Spine computed tomography; Sagittal slice 220/512; 512x747 px; 12 vertebrae labeled in this scan
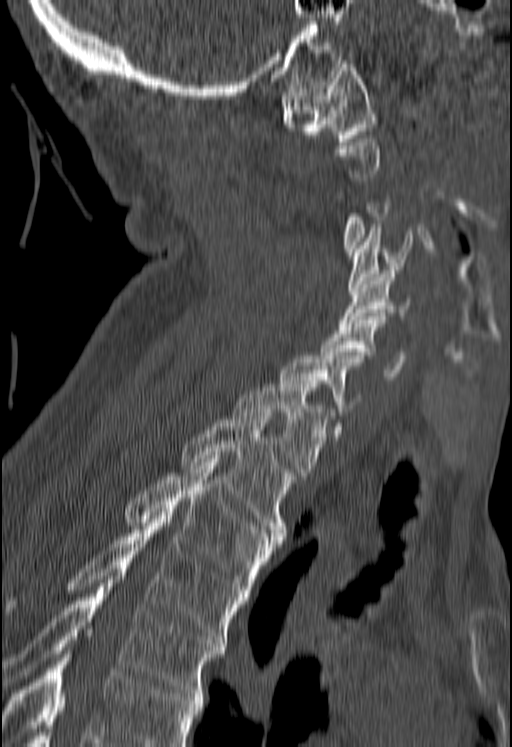
Box edges are left/top/right/bottom in pixels.
A vertebra gets a box only on the slices from the first to the last where its cross-section is at least a third of its largest; on a slice outside that range it gets none.
A vertebra cut off by the bottom edge of the scan is not labeled and has no box.
Vertebra bounding boxes:
- T5: left=3, top=572, right=225, bottom=696
- T4: left=9, top=516, right=245, bottom=643
- T3: left=126, top=459, right=279, bottom=593
- T2: left=181, top=416, right=293, bottom=539
- T1: left=232, top=380, right=332, bottom=475
- C6: left=321, top=316, right=405, bottom=379
- C5: left=339, top=270, right=412, bottom=326
- C4: left=348, top=228, right=412, bottom=291
- C1: left=282, top=60, right=375, bottom=141